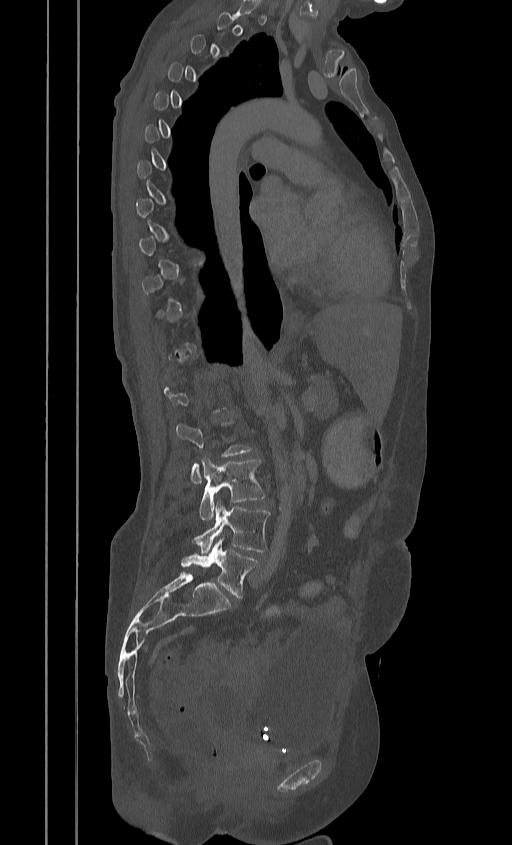
Spine CT. sagittal reformat. image width 384 mm. 512x845 px
Each box given as x1,y1,x2,y2.
Not every vertebra on this slice has a box: a vertebra is boxed only from the first to the last slice where its cross-section is at least a third of its largest, and this slice is outside that range for at least one of them.
Vertebra bounding boxes:
- L3: x1=200, y1=457, x2=264, y2=520
- L4: x1=193, y1=500, x2=269, y2=552
- L5: x1=181, y1=537, x2=257, y2=598